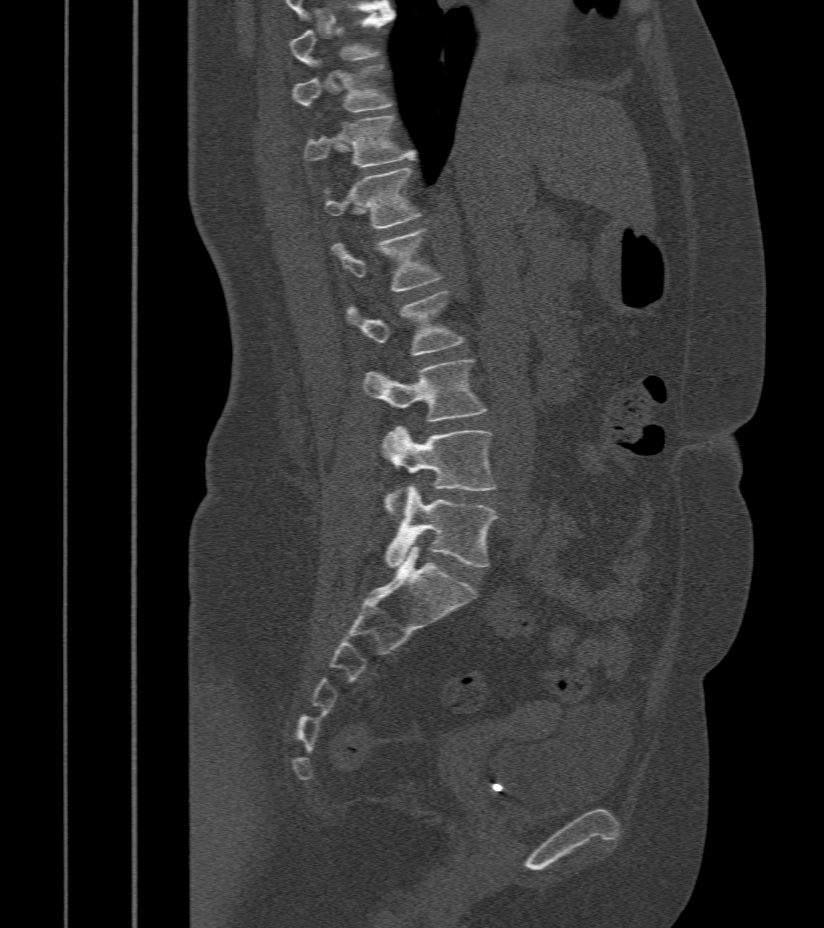 Spine computed tomography · sagittal reformat · 412 mm across the image · W/L 1800/400 HU · 824x928 px

Boxes: x1 y1 x2 y2 (pixel coords, space-separated). The labeled vertebrae in this slice are: L5 at 386 485 500 568, L4 at 381 425 496 518, L3 at 364 359 487 422, L2 at 346 291 464 356, L1 at 332 229 443 292, T12 at 323 167 421 230, T11 at 304 115 417 168, T10 at 291 61 393 112, T9 at 290 9 395 66.